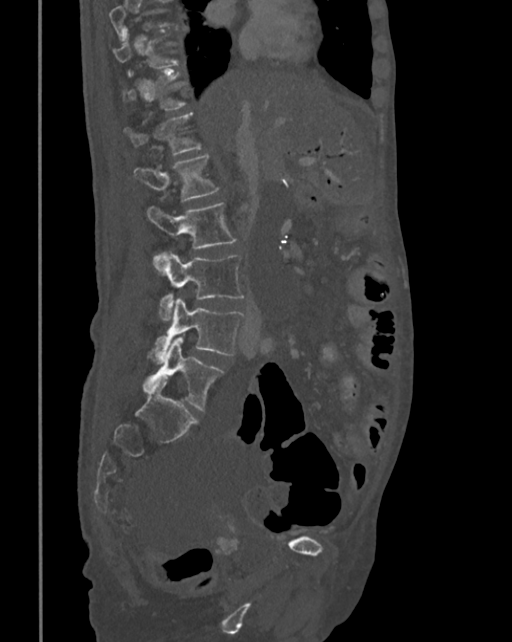 Computed tomography of the spine · sagittal view · 342 mm image width · 512x642 px. Each box given as x1,y1,x2,y2.
A vertebra gets a box only on the slices from the first to the last where its cross-section is at least a third of its largest; on a slice outside that range it gets none.
Vertebra bounding boxes:
- T12: x1=124, y1=113, x2=201, y2=154
- L1: x1=133, y1=155, x2=219, y2=200
- L2: x1=146, y1=202, x2=235, y2=266
- L3: x1=154, y1=252, x2=243, y2=320
- L4: x1=148, y1=299, x2=243, y2=361
- L5: x1=143, y1=337, x2=223, y2=410